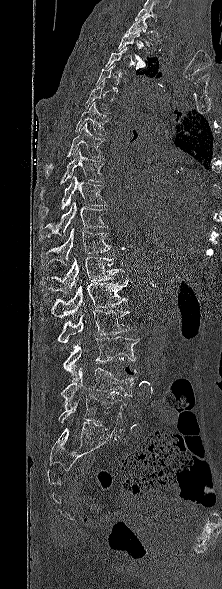 Computed tomography of the spine — sagittal view

Boxes below are [x1, y1, x2, y2] in pixels.
Each vertebra is boxed only on the slices from the first to the last where its cross-section reaches a third of its largest, so a slice outside that range leaves it unboxed.
In this scan, the topmost labeled vertebra is T1 and the lowest is L5.
{"vertebrae":{"T1":[126,17,152,46],"T2":[115,33,145,67],"T5":[85,80,112,113],"T6":[75,101,108,135],"T7":[45,123,104,178],"T8":[40,149,104,199],"T9":[39,175,106,218],"T10":[39,202,107,240],"T11":[41,228,111,266],"T12":[40,257,124,295],"L1":[51,279,128,317],"L2":[57,310,135,343],"L3":[63,336,137,381],"L4":[61,367,138,407],"L5":[58,395,125,432]}}